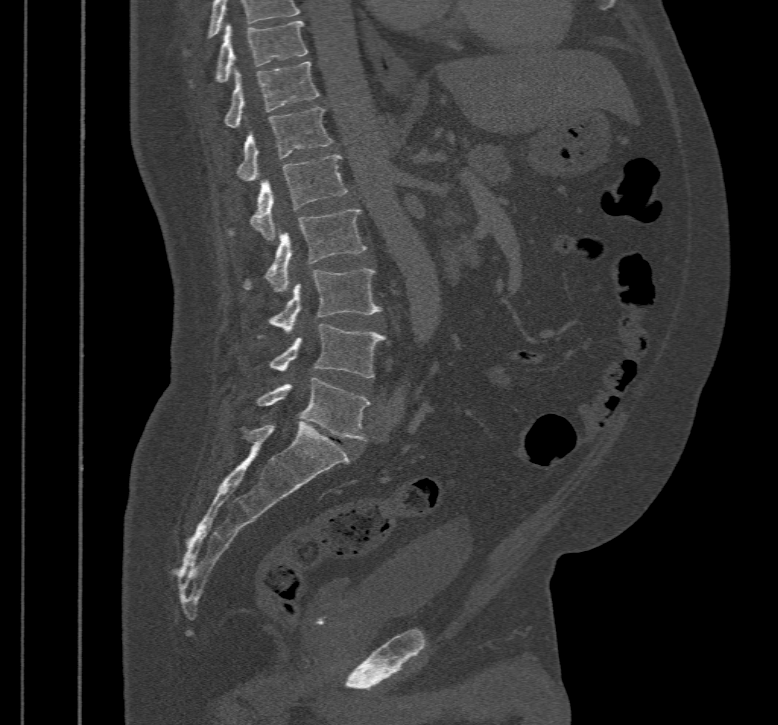

CT, spine; sagittal view; bone window; 778x725 px
Box edges are left/top/right/bottom in pixels.
Labels in this scan begin with T10 at the top and end with L5 at the bottom.
Vertebra bounding boxes:
- T10: left=214, top=20, right=308, bottom=83
- T11: left=223, top=62, right=318, bottom=128
- T12: left=237, top=107, right=332, bottom=181
- L1: left=230, top=154, right=347, bottom=241
- L2: left=243, top=209, right=367, bottom=291
- L3: left=257, top=268, right=381, bottom=338
- L4: left=271, top=324, right=385, bottom=378
- L5: left=257, top=377, right=368, bottom=441